Spine CT · sagittal plane, index 361 · Bone window (WL 400, WW 1800) · 210 mm wide · 768x1218 px · scan covers 6 annotated vertebrae
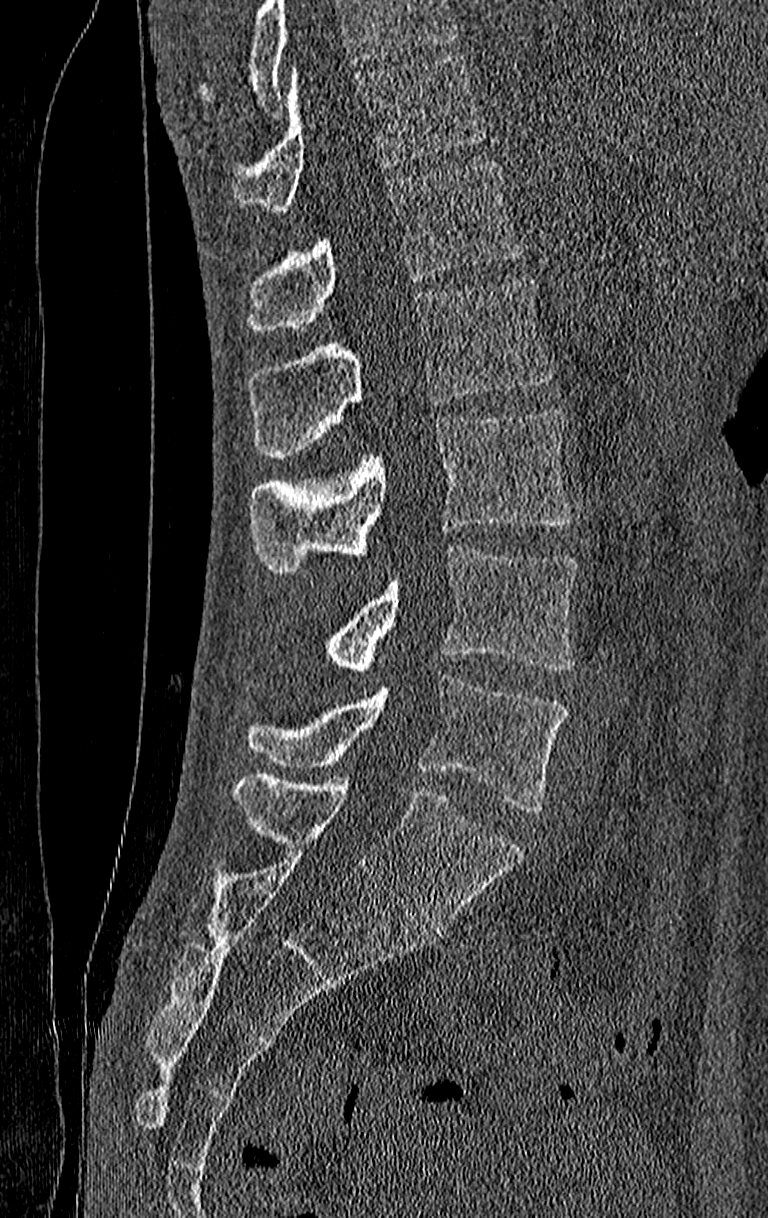

Boxes below are [x1, y1, x2, y2] in pixels.
No box is given to a vertebra that the top edge of the scan cuts off.
Labels in this scan begin with T11 at the top and end with L4 at the bottom.
{"vertebrae":{"T11":[233,53,484,211],"T12":[247,161,524,333],"L1":[247,278,554,457],"L2":[251,410,572,573],"L3":[324,546,579,672],"L4":[247,678,568,812]}}